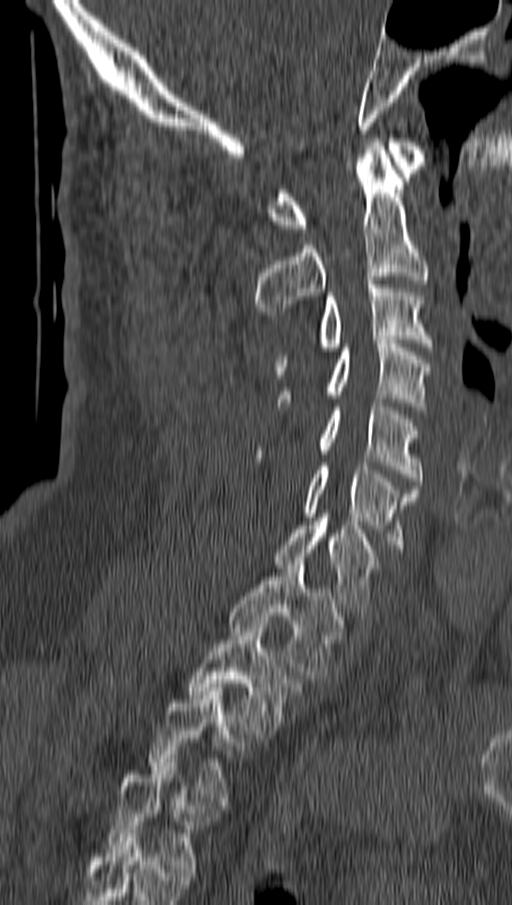

CT spine · sagittal reformat · 162 mm wide · bone window · 512x905 px
In the table, x1 and y1 are a box's top-left corner and x2 and y2 its bottom-right corner, in pixels.
| vertebra | x1 | y1 | x2 | y2 |
|---|---|---|---|---|
| C1 | 267 | 138 | 425 | 232 |
| C2 | 256 | 138 | 430 | 315 |
| C3 | 275 | 280 | 433 | 374 |
| C4 | 279 | 340 | 430 | 410 |
| C5 | 257 | 399 | 420 | 485 |
| C6 | 301 | 462 | 418 | 556 |
| C7 | 273 | 518 | 376 | 611 |
| T1 | 229 | 561 | 345 | 679 |
| T2 | 188 | 620 | 300 | 738 |
| T3 | 146 | 687 | 253 | 805 |
| T4 | 105 | 759 | 215 | 876 |